Computed tomography of the spine · Sagittal slice 15/38 · 289x289 px · 12 vertebrae labeled in this scan
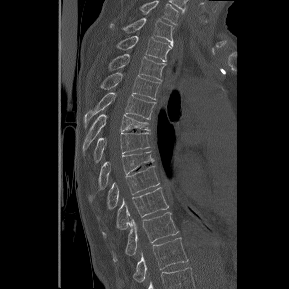 Each row gives a vertebra's box as x1, y1, x2, y2 in pixels: top-left corner, then bottom-right corner.
In this scan, the topmost labeled vertebra is T1 and the lowest is T12.
| vertebra | x1 | y1 | x2 | y2 |
|---|---|---|---|---|
| T12 | 133 | 237 | 188 | 282 |
| T11 | 113 | 212 | 178 | 262 |
| T10 | 102 | 187 | 168 | 236 |
| T9 | 107 | 165 | 159 | 209 |
| T8 | 98 | 151 | 154 | 189 |
| T7 | 93 | 132 | 149 | 162 |
| T6 | 83 | 114 | 149 | 150 |
| T5 | 85 | 92 | 155 | 127 |
| T4 | 101 | 72 | 160 | 99 |
| T3 | 108 | 54 | 165 | 80 |
| T2 | 116 | 36 | 170 | 61 |
| T1 | 110 | 17 | 173 | 46 |